CT — sagittal plane, index 223 — W/L 1800/400 HU — 537x596 px — 7 vertebrae labeled in this scan
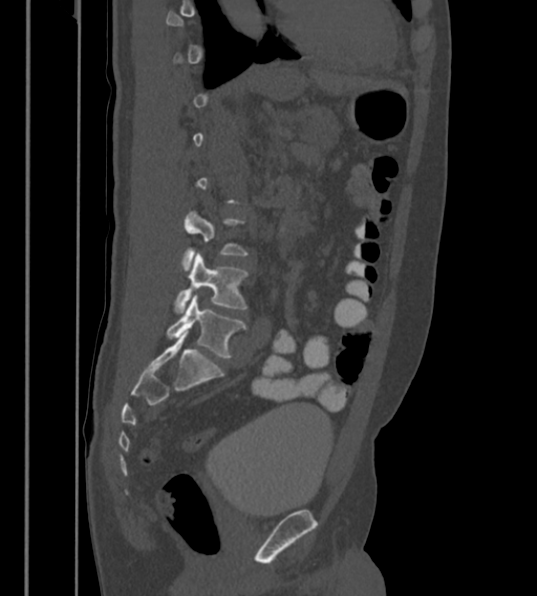
Each box given as x1,y1,x2,y2. Not every vertebra on this slice has a box: a vertebra is boxed only from the first to the last slice where its cross-section is at least a third of its largest, and this slice is outside that range for at least one of them. In these labels the spine has an L6, a sixth lumbar vertebra below L5. Vertebrae labeled: L6 at x1=166, y1=295, x2=245, y2=358, L5 at x1=174, y1=252, x2=248, y2=313, L4 at x1=181, y1=211, x2=248, y2=271.